CT. sagittal reformat. bone window. scan covers 11 annotated vertebrae
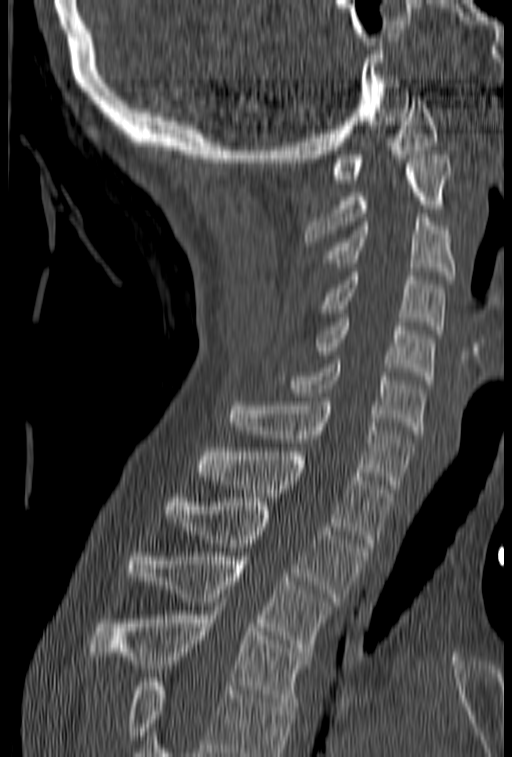
Each box given as x1,y1,x2,y2.
No box is given to a vertebra that the bottom edge of the scan cuts off.
| vertebra | x1 | y1 | x2 | y2 |
|---|---|---|---|---|
| C1 | 332 | 96 | 437 | 183 |
| C2 | 305 | 155 | 452 | 246 |
| C3 | 324 | 213 | 455 | 279 |
| C4 | 319 | 272 | 445 | 334 |
| C5 | 314 | 314 | 435 | 380 |
| C6 | 282 | 360 | 425 | 434 |
| C7 | 229 | 397 | 412 | 488 |
| T1 | 198 | 448 | 392 | 547 |
| T2 | 164 | 498 | 368 | 601 |
| T3 | 128 | 552 | 335 | 656 |
| T4 | 90 | 602 | 312 | 706 |